CT spine · Sagittal slice 184/380 · bone window · 380x640 px
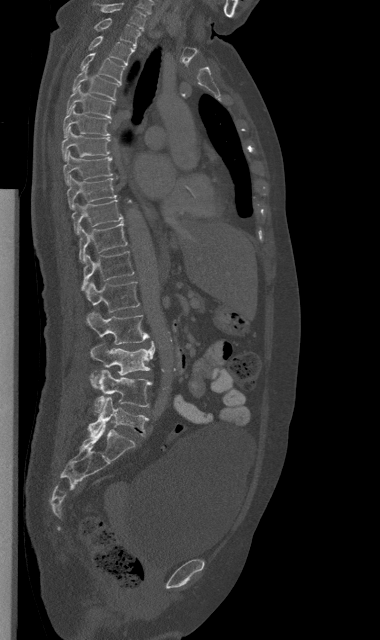 Each box given as x1,y1,x2,y2.
| vertebra | x1 | y1 | x2 | y2 |
|---|---|---|---|---|
| C7 | 94 | 2 | 146 | 29 |
| T1 | 94 | 18 | 140 | 47 |
| T2 | 89 | 35 | 134 | 65 |
| T3 | 80 | 53 | 125 | 84 |
| T4 | 72 | 67 | 120 | 100 |
| T5 | 67 | 85 | 114 | 118 |
| T6 | 63 | 106 | 111 | 137 |
| T7 | 61 | 127 | 109 | 160 |
| T8 | 63 | 151 | 113 | 184 |
| T9 | 67 | 176 | 118 | 209 |
| T10 | 72 | 198 | 123 | 234 |
| T11 | 79 | 222 | 127 | 261 |
| T12 | 82 | 251 | 133 | 291 |
| L1 | 86 | 282 | 139 | 312 |
| L2 | 86 | 312 | 149 | 344 |
| L3 | 90 | 342 | 154 | 375 |
| L4 | 90 | 370 | 151 | 413 |
| L5 | 88 | 397 | 148 | 437 |